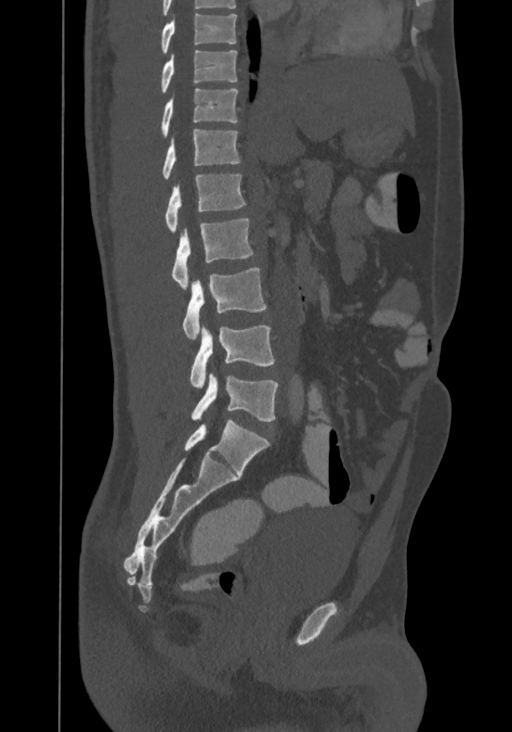 Computed tomography of the spine — sagittal reformat — 367 mm across the image
Coordinates as <box>x1,y1,x2,y2</box>.
This scan's labels start at T8 at the top and end at L4 at the bottom.
Vertebra bounding boxes:
- T8: <box>160,14,236,53</box>
- T9: <box>160,50,237,93</box>
- T10: <box>160,88,237,137</box>
- T11: <box>162,128,240,179</box>
- T12: <box>164,175,246,231</box>
- L1: <box>171,218,253,288</box>
- L2: <box>183,267,267,339</box>
- L3: <box>190,325,275,388</box>
- L4: <box>191,374,278,421</box>